CT spine. image width 171 mm. sagittal view. bone window. scan covers 3 annotated vertebrae
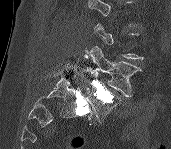
Each vertebra is boxed only on the slices from the first to the last where its cross-section reaches a third of its largest, so a slice outside that range leaves it unboxed.
<vertebrae><v name="L4" x1="81" y1="46" x2="142" y2="97"/><v name="L5" x1="87" y1="80" x2="122" y2="120"/></vertebrae>